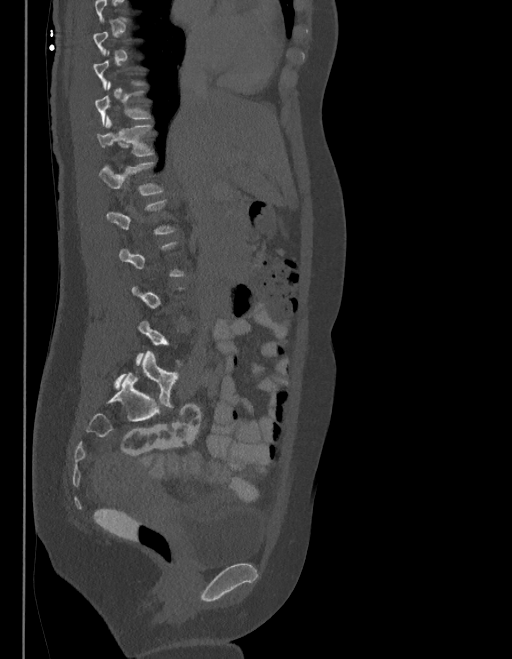
CT spine — sagittal view — W/L 1800/400 HU — image 403 mm wide
Box values are [left, top, right, bottom] in pixels.
A vertebra is boxed only from the first to the last slice where its cross-section is at least a third of its largest; slices outside that range leave it without a box.
These labels give the spine a sixth lumbar vertebra, L6, below L5.
{"vertebrae":{"L6":[114,351,178,407],"L1":[99,162,163,196],"T12":[98,117,153,156],"T11":[95,82,150,126]}}